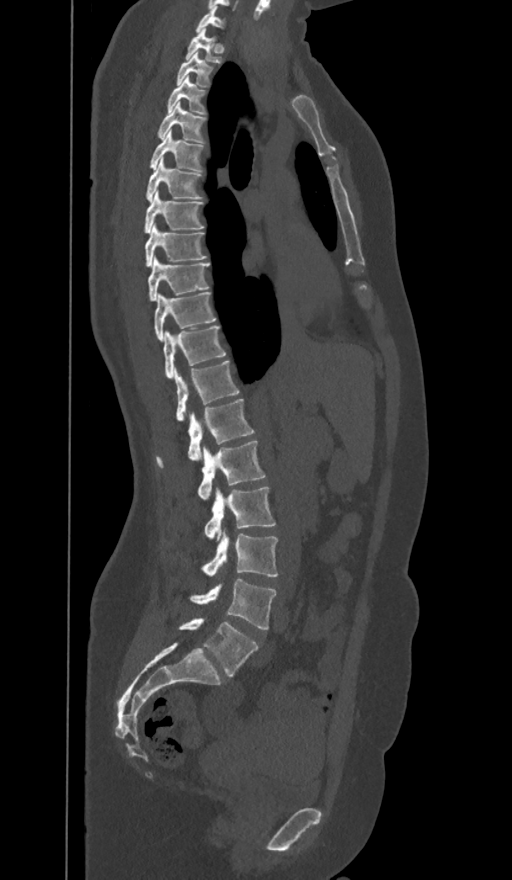 CT spine · sagittal view · Bone window (WL 400, WW 1800) · 512x880 px
Boxes: x1 y1 x2 y2 (pixel coords, space-separated).
The labels name a sixth lumbar vertebra for this spine: L6, after L5.
L6: 179 619 258 677
L5: 190 579 275 630
L4: 201 531 277 577
L3: 204 487 275 540
L2: 197 440 264 499
L1: 156 399 253 466
T12: 175 361 238 420
T11: 163 325 225 377
T10: 155 292 215 340
T9: 148 258 210 300
T8: 145 224 206 265
T7: 144 190 203 233
T6: 146 158 201 200
T5: 150 131 203 171
T4: 157 102 206 142
T3: 167 76 206 114
T2: 176 52 212 86
T1: 185 28 221 62
C7: 196 5 223 31